CT, spine; sagittal view; bone-window reconstruction
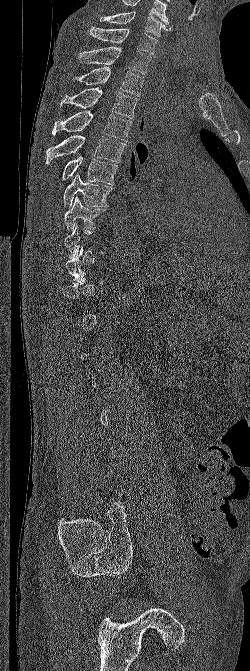

Boxes below are [x1, y1, x2, y2] in pixels.
Each vertebra is boxed only on the slices from the first to the last where its cross-section reaches a third of its largest, so a slice outside that range leaves it unboxed.
In this scan, the topmost labeled vertebra is C6 and the lowest is L5.
{"vertebrae":{"C6":[100,11,172,36],"C7":[89,27,158,54],"T1":[77,46,151,74],"T2":[72,67,145,96],"T3":[60,87,138,118],"T4":[52,110,132,141],"T5":[46,135,126,163],"T6":[62,154,118,184],"T7":[63,173,113,207],"T8":[64,196,106,232]}}